CT — sagittal reformat — bone-window reconstruction
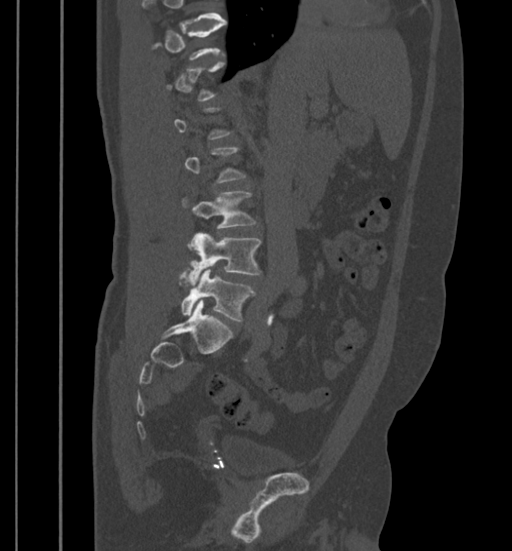
Columns x1, y1, x2, y2 give each box's top-left and bottom-right pixels.
Each vertebra is boxed only on the slices from the first to the last where its cross-section reaches a third of its largest, so a slice outside that range leaves it unboxed.
| vertebra | x1 | y1 | x2 | y2 |
|---|---|---|---|---|
| L3 | 183 | 191 | 255 | 230 |
| L4 | 187 | 233 | 261 | 283 |
| L5 | 181 | 268 | 254 | 320 |